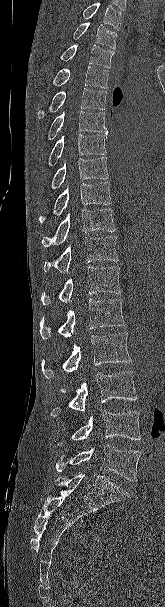 CT — 165 mm across the image — sagittal reformat — Bone window (WL 400, WW 1800) — 165x607 px
Boxes are given in columns x1, y1, x2, y2, the pixel coordinates of their top-left and bottom-right corners.
Vertebrae that run past the top of the scan are left unlabeled.
| vertebra | x1 | y1 | x2 | y2 |
|---|---|---|---|---|
| T2 | 72 | 22 | 116 | 48 |
| T3 | 60 | 44 | 114 | 68 |
| T4 | 50 | 66 | 109 | 88 |
| T5 | 38 | 88 | 106 | 118 |
| T6 | 48 | 111 | 107 | 140 |
| T7 | 48 | 134 | 106 | 166 |
| T8 | 39 | 157 | 108 | 198 |
| T9 | 39 | 181 | 111 | 223 |
| T10 | 42 | 208 | 115 | 247 |
| T11 | 43 | 236 | 118 | 272 |
| T12 | 41 | 266 | 121 | 304 |
| L1 | 39 | 299 | 125 | 339 |
| L2 | 41 | 332 | 131 | 378 |
| L3 | 50 | 371 | 137 | 416 |
| L4 | 54 | 410 | 140 | 446 |
| L5 | 55 | 444 | 141 | 481 |